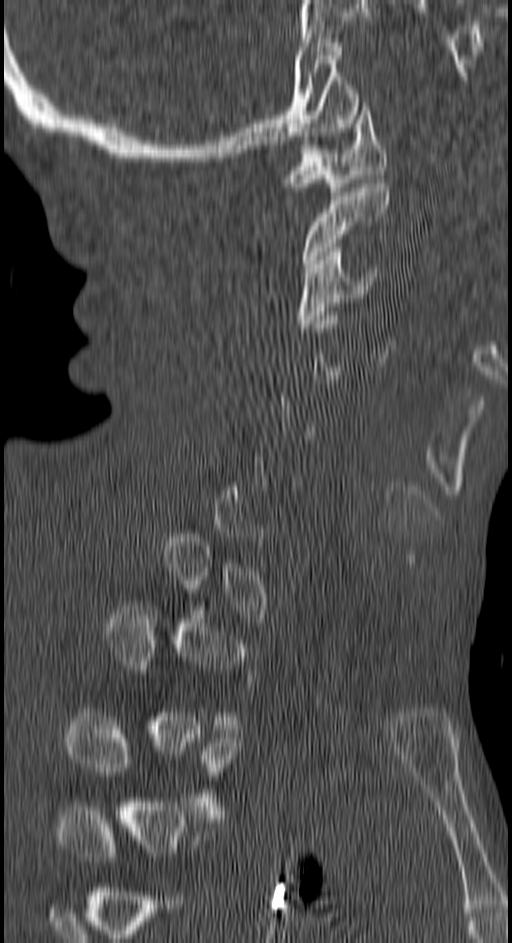 Computed tomography of the spine — sagittal view — bone-window reconstruction

Boxes: x1 y1 x2 y2 (pixel coords, space-separated).
Not every vertebra on this slice has a box: a vertebra is boxed only from the first to the last slice where its cross-section is at least a third of its largest, and this slice is outside that range for at least one of them.
C1: 285 102 386 195
C2: 302 183 389 268
C3: 298 247 376 328
T3: 66 713 239 818